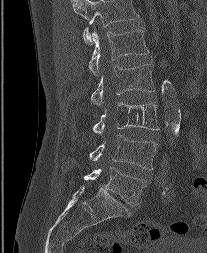

Spine computed tomography · sagittal view · Bone window (WL 400, WW 1800) · 207x253 px
Boxes below are [x1, y1, x2, y2] in pixels.
In this scan, the topmost labeled vertebra is L1 and the lowest is L5.
{"vertebrae":{"L1":[89,27,148,75],"L2":[91,63,154,105],"L3":[93,102,158,135],"L4":[89,135,158,169],"L5":[84,167,145,205]}}